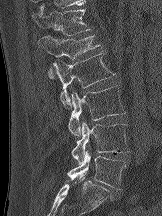
Computed tomography of the spine · sagittal reformat
<vertebrae><v name="T12" x1="32" y1="3" x2="91" y2="35"/><v name="L1" x1="38" y1="35" x2="101" y2="78"/><v name="L2" x1="51" y1="51" x2="116" y2="108"/><v name="L3" x1="68" y1="85" x2="126" y2="137"/><v name="L4" x1="71" y1="121" x2="130" y2="163"/><v name="L5" x1="67" y1="150" x2="126" y2="189"/></vertebrae>